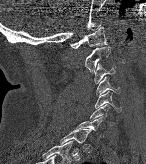 CT, spine; sagittal view; bone window. Bounding boxes as [x1, y1, x2, y2] in pixel coordinates.
This scan's labels start at C1 at the top and end at T1 at the bottom.
Vertebra bounding boxes:
- T1: [60, 128, 92, 144]
- C7: [76, 117, 103, 137]
- C6: [90, 104, 113, 124]
- C5: [95, 91, 119, 110]
- C4: [96, 77, 118, 96]
- C3: [94, 64, 115, 83]
- C2: [84, 46, 113, 72]
- C1: [70, 26, 107, 48]